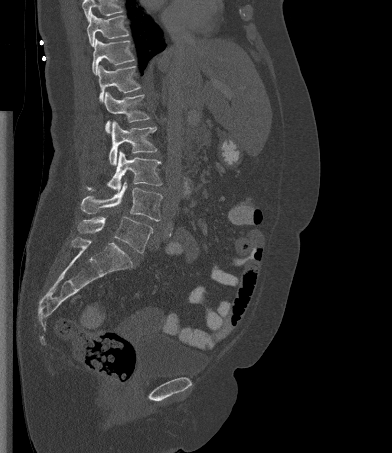 CT, spine; sagittal reformat; the image spans 392 mm across
Box values are [left, top, right, bottom] in pixels.
Where the top of the scan cuts through a vertebra, that vertebra gets no label or box.
{"vertebrae":{"T10":[87,12,129,46],"T11":[92,38,134,75],"T12":[98,64,140,101],"L1":[104,92,149,133],"L2":[109,121,157,165],"L3":[87,150,162,191],"L4":[81,180,162,221],"L5":[78,216,152,253]}}